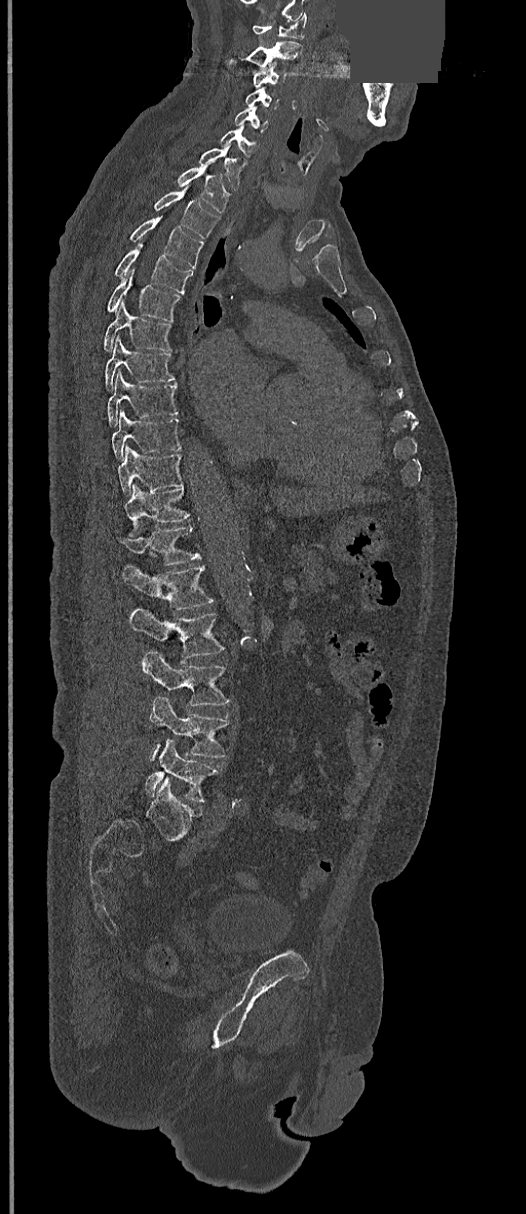 Computed tomography of the spine · sagittal view · W/L 1800/400 HU · the image is 368 mm wide · a portion of the image is blanked out (constant pixel value)
<vertebrae><v name="C1" x1="253" y1="13" x2="306" y2="39"/><v name="C2" x1="227" y1="41" x2="302" y2="69"/><v name="C3" x1="253" y1="62" x2="285" y2="88"/><v name="C4" x1="244" y1="89" x2="278" y2="109"/><v name="C5" x1="234" y1="106" x2="269" y2="132"/><v name="C6" x1="220" y1="126" x2="258" y2="158"/><v name="C7" x1="198" y1="146" x2="243" y2="189"/><v name="T1" x1="176" y1="167" x2="231" y2="212"/><v name="T2" x1="153" y1="187" x2="219" y2="239"/><v name="T3" x1="128" y1="216" x2="204" y2="268"/><v name="T4" x1="113" y1="243" x2="193" y2="293"/><v name="T5" x1="106" y1="269" x2="182" y2="322"/><v name="T6" x1="103" y1="303" x2="171" y2="350"/><v name="T7" x1="104" y1="337" x2="176" y2="389"/><v name="T8" x1="107" y1="370" x2="178" y2="426"/><v name="T9" x1="111" y1="410" x2="182" y2="459"/><v name="T10" x1="118" y1="446" x2="183" y2="495"/><v name="T11" x1="124" y1="484" x2="190" y2="537"/><v name="T12" x1="118" y1="526" x2="200" y2="565"/><v name="L1" x1="122" y1="566" x2="213" y2="609"/><v name="L2" x1="129" y1="609" x2="225" y2="662"/><v name="L3" x1="143" y1="650" x2="230" y2="708"/><v name="L4" x1="147" y1="697" x2="229" y2="762"/><v name="L5" x1="144" y1="739" x2="219" y2="802"/></vertebrae>